Computed tomography of the spine; sagittal reformat; image 291 mm wide; bone window; 291x291 px
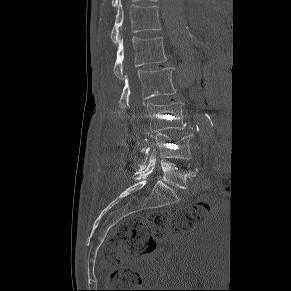
Columns x1, y1, x2, y2 give each box's top-left and bottom-right pixels.
| vertebra | x1 | y1 | x2 | y2 |
|---|---|---|---|---|
| T12 | 111 | 0 | 161 | 43 |
| L1 | 113 | 37 | 167 | 79 |
| L2 | 119 | 67 | 176 | 108 |
| L3 | 147 | 103 | 186 | 131 |
| L4 | 135 | 133 | 193 | 174 |
| L5 | 134 | 152 | 197 | 188 |